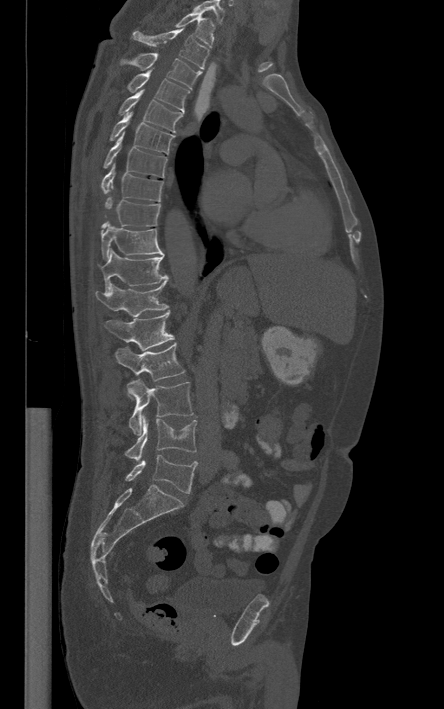
Computed tomography of the spine · sagittal view · 444x709 px

The highest labeled vertebra in this scan is T1; the lowest is L5.
<vertebrae><v name="L5" x1="126" y1="454" x2="197" y2="493"/><v name="L4" x1="126" y1="414" x2="196" y2="461"/><v name="L3" x1="127" y1="379" x2="193" y2="435"/><v name="L2" x1="114" y1="343" x2="184" y2="380"/><v name="L1" x1="104" y1="311" x2="173" y2="350"/><v name="T12" x1="95" y1="281" x2="167" y2="316"/><v name="T11" x1="99" y1="250" x2="168" y2="292"/><v name="T10" x1="101" y1="221" x2="164" y2="258"/><v name="T9" x1="101" y1="195" x2="160" y2="233"/><v name="T8" x1="101" y1="163" x2="162" y2="201"/><v name="T7" x1="104" y1="131" x2="167" y2="177"/><v name="T6" x1="110" y1="112" x2="175" y2="154"/><v name="T5" x1="117" y1="89" x2="182" y2="132"/><v name="T4" x1="128" y1="70" x2="189" y2="112"/><v name="T3" x1="120" y1="52" x2="200" y2="87"/><v name="T2" x1="131" y1="27" x2="208" y2="68"/><v name="T1" x1="176" y1="13" x2="213" y2="47"/></vertebrae>